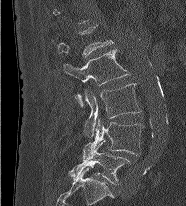 CT; sagittal view; bone window; 186 mm image width
Labels in this scan begin with L1 at the top and end with L5 at the bottom.
<vertebrae><v name="L1" x1="58" y1="25" x2="113" y2="56"/><v name="L2" x1="63" y1="49" x2="129" y2="107"/><v name="L3" x1="84" y1="83" x2="141" y2="135"/><v name="L4" x1="83" y1="119" x2="144" y2="160"/><v name="L5" x1="68" y1="141" x2="130" y2="184"/></vertebrae>